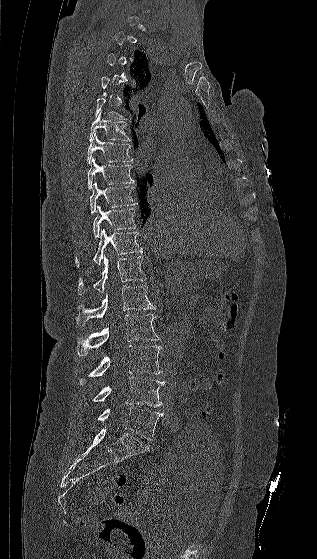

Spine computed tomography; sagittal view; bone window

Box edges are left/top/right/bottom in pixels.
Each vertebra is boxed only on the slices from the first to the last where its cross-section reaches a third of its largest, so a slice outside that range leaves it unboxed.
| vertebra | x1 | y1 | x2 | y2 |
|---|---|---|---|---|
| T6 | 89 | 112 | 131 | 141 |
| T7 | 87 | 133 | 133 | 164 |
| T8 | 88 | 156 | 135 | 189 |
| T9 | 90 | 181 | 137 | 213 |
| T10 | 93 | 205 | 136 | 238 |
| T11 | 75 | 228 | 142 | 266 |
| T12 | 78 | 254 | 147 | 295 |
| L1 | 76 | 286 | 156 | 325 |
| L2 | 77 | 314 | 160 | 356 |
| L3 | 78 | 345 | 162 | 385 |
| L4 | 84 | 376 | 164 | 407 |
| L5 | 97 | 406 | 163 | 440 |